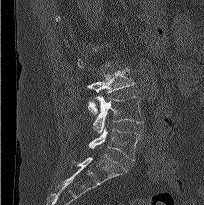 CT. sagittal view. 204 mm across the image

Each vertebra is boxed only on the slices from the first to the last where its cross-section reaches a third of its largest, so a slice outside that range leaves it unboxed.
<vertebrae><v name="L3" x1="87" y1="68" x2="134" y2="114"/><v name="L4" x1="93" y1="95" x2="143" y2="133"/><v name="L5" x1="88" y1="128" x2="140" y2="160"/></vertebrae>